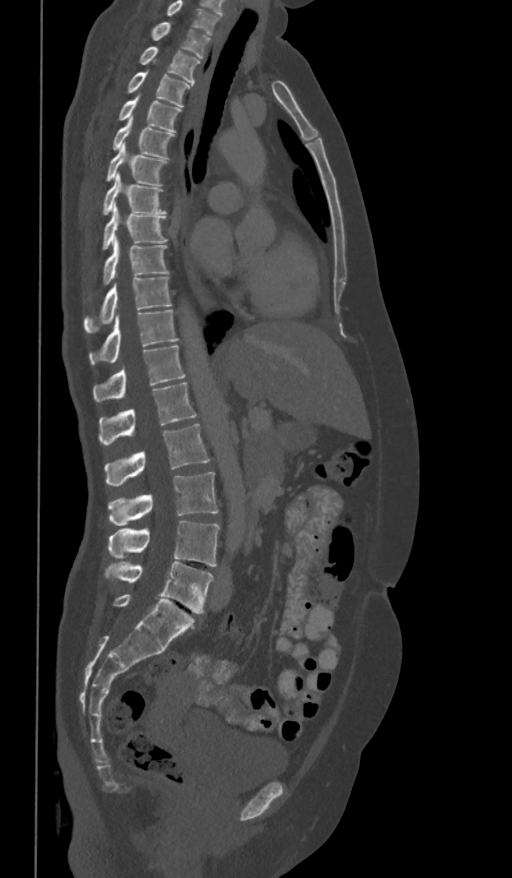 CT spine — sagittal view — W/L 1800/400 HU — the image spans 361 mm across

Box edges are left/top/right/bottom in pixels.
This scan's labels start at T1 at the top and end at L5 at the bottom.
T1: left=152, top=22, right=210, bottom=58
T2: left=140, top=47, right=200, bottom=83
T3: left=127, top=70, right=189, bottom=106
T4: left=118, top=94, right=180, bottom=132
T5: left=112, top=116, right=173, bottom=157
T6: left=106, top=142, right=166, bottom=185
T7: left=102, top=172, right=165, bottom=215
T8: left=102, top=204, right=168, bottom=249
T9: left=103, top=236, right=169, bottom=284
T10: left=83, top=277, right=172, bottom=332
T11: left=89, top=310, right=177, bottom=364
T12: left=93, top=345, right=185, bottom=401
L1: left=99, top=382, right=196, bottom=444
L2: left=105, top=425, right=210, bottom=485
L3: left=108, top=471, right=219, bottom=526
L4: left=108, top=521, right=220, bottom=566
L5: left=106, top=562, right=213, bottom=613